Spine CT; the image is 340 mm wide; sagittal reformat; W/L 1800/400 HU; 512x705 px; scan covers 8 annotated vertebrae
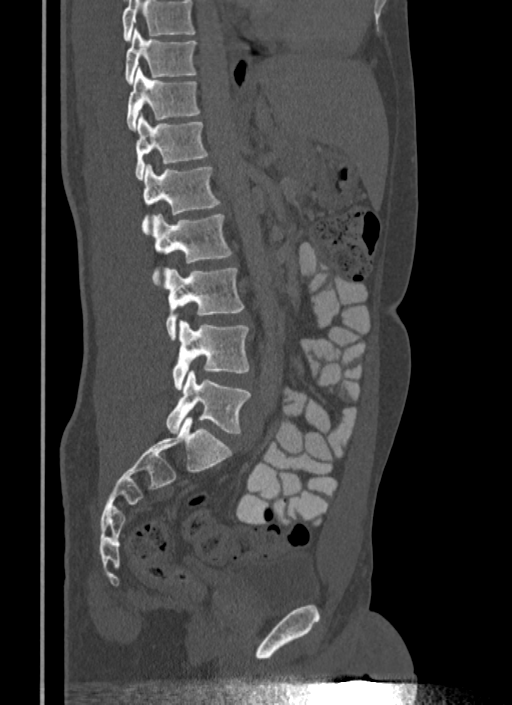 Vertebrae that run past the top of the scan are left unlabeled.
<vertebrae><v name="T10" x1="125" y1="29" x2="196" y2="85"/><v name="T11" x1="126" y1="68" x2="199" y2="130"/><v name="T12" x1="135" y1="113" x2="208" y2="178"/><v name="L1" x1="141" y1="164" x2="220" y2="234"/><v name="L2" x1="152" y1="214" x2="231" y2="284"/><v name="L3" x1="164" y1="268" x2="244" y2="339"/><v name="L4" x1="173" y1="321" x2="249" y2="389"/><v name="L5" x1="165" y1="370" x2="250" y2="433"/></vertebrae>